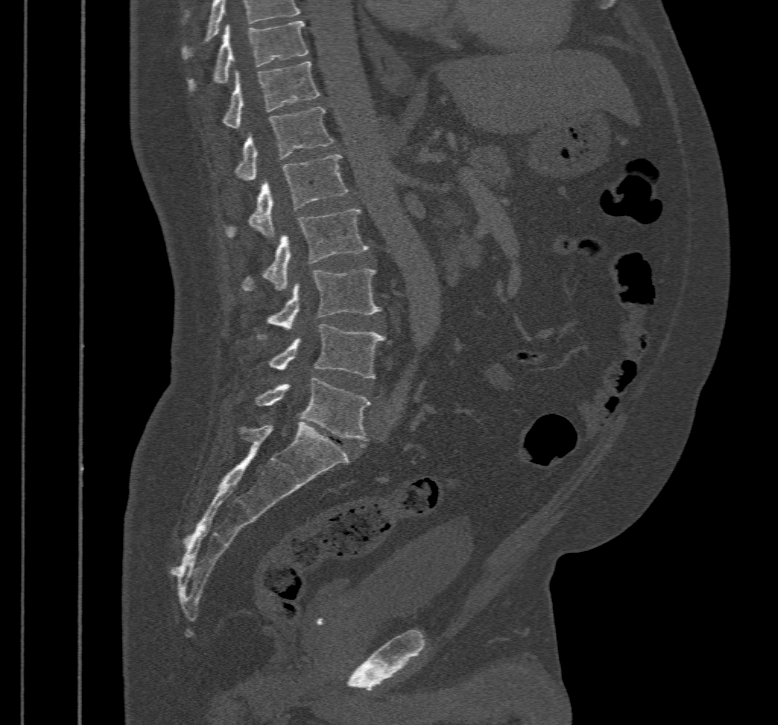
Computed tomography of the spine; sagittal view; W/L 1800/400 HU; 778x725 px; 467 mm wide. Each box given as x1,y1,x2,y2.
The highest labeled vertebra in this scan is T10; the lowest is L5.
T10: x1=189, y1=20, x2=309, y2=91
T11: x1=222, y1=60, x2=321, y2=128
T12: x1=236, y1=107, x2=333, y2=181
L1: x1=225, y1=154, x2=347, y2=236
L2: x1=242, y1=209, x2=368, y2=291
L3: x1=255, y1=268, x2=381, y2=338
L4: x1=268, y1=324, x2=384, y2=378
L5: x1=255, y1=377, x2=370, y2=441